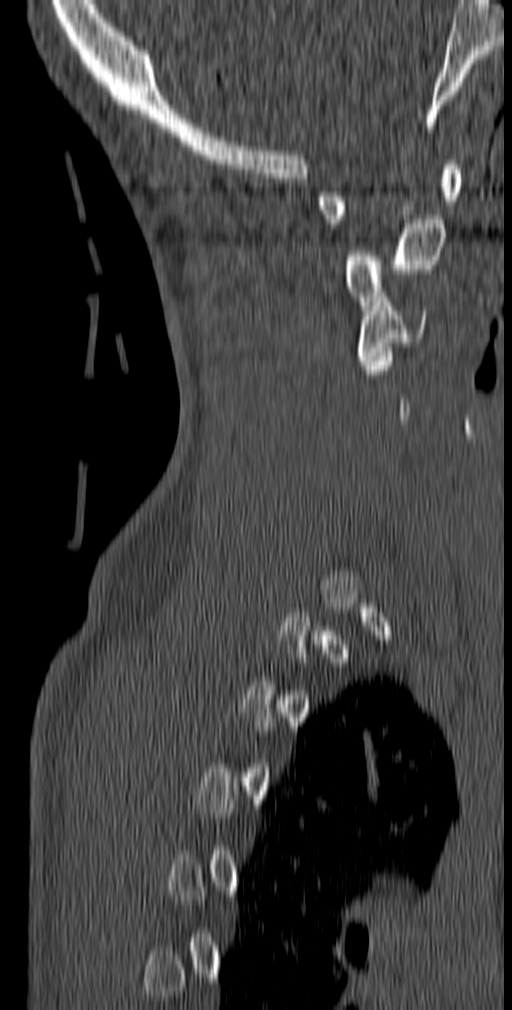 Spine CT; sagittal view; W/L 1800/400 HU

Boxes are given in columns x1, y1, x2, y2, the pixel coordinates of their top-left and bottom-right corners.
Not every vertebra on this slice has a box: a vertebra is boxed only from the first to the last slice where its cross-section is at least a third of its largest, and this slice is outside that range for at least one of them.
| vertebra | x1 | y1 | x2 | y2 |
|---|---|---|---|---|
| C1 | 317 | 160 | 461 | 228 |
| C2 | 345 | 219 | 445 | 310 |
| C3 | 357 | 293 | 426 | 369 |